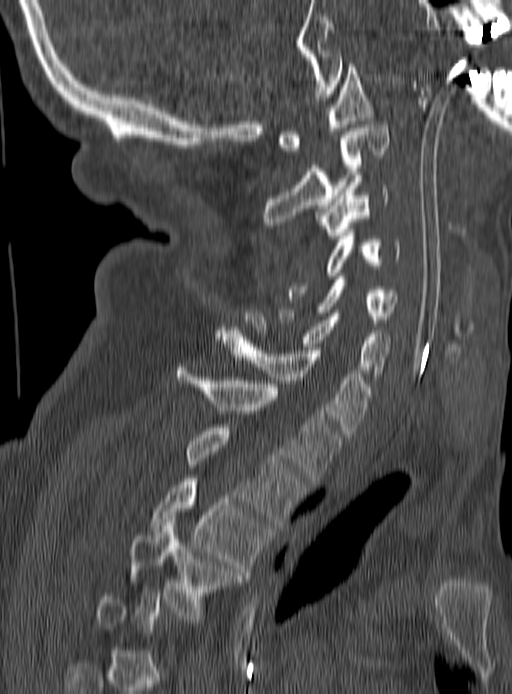

CT, spine; sagittal view; Bone window (WL 400, WW 1800). Boxes: x1:y1:x2:y2 in pixels.
A vertebra is boxed only from the first to the last slice where its cross-section is at least a third of its largest; slices outside that range leave it without a box.
Vertebra bounding boxes:
- T4: 130:519:240:619
- T3: 152:475:269:575
- T2: 184:424:304:524
- T1: 176:364:339:484
- C7: 216:333:372:434
- C6: 245:310:390:376
- C5: 280:276:396:322
- C4: 289:229:401:299
- C3: 319:175:389:238
- C2: 262:125:388:228
- C1: 278:64:373:154